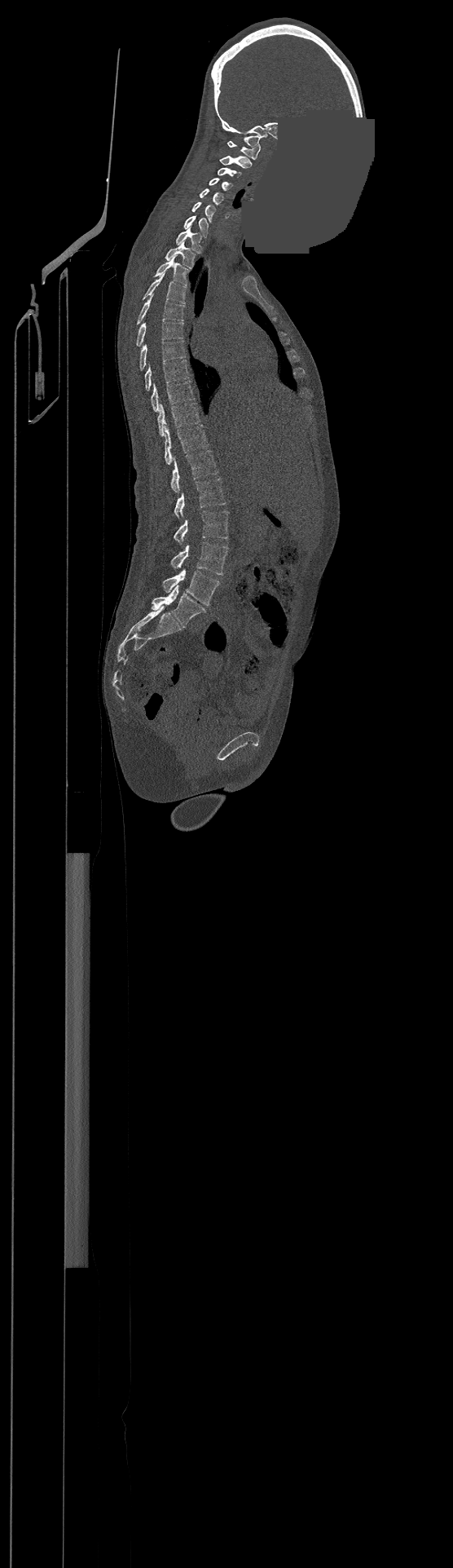

CT, spine. image 500 mm wide. sagittal view. 453x1568 px. an area of the scan was removed and filled with constant pixels. Coordinates as <box>x1,y1,x2,y2</box>. In this scan, the topmost labeled vertebra is C1 and the lowest is L4. 23 vertebrae labeled — L4 at <box>162,568,219,605</box>; L3 at <box>172,542,228,574</box>; L2 at <box>174,510,228,545</box>; L1 at <box>174,478,226,518</box>; T12 at <box>172,450,218,492</box>; T11 at <box>165,425,209,465</box>; T10 at <box>157,403,200,435</box>; T9 at <box>152,381,194,411</box>; T8 at <box>145,360,188,391</box>; T7 at <box>139,340,185,369</box>; T6 at <box>137,320,183,346</box>; T5 at <box>137,294,184,323</box>; T4 at <box>143,274,186,304</box>; T3 at <box>155,258,187,285</box>; T2 at <box>165,241,195,268</box>; T1 at <box>176,227,201,253</box>; C7 at <box>184,215,209,237</box>; C6 at <box>191,201,215,222</box>; C5 at <box>199,189,223,205</box>; C4 at <box>209,179,231,190</box>; C3 at <box>218,167,241,178</box>; C2 at <box>220,156,252,167</box>; C1 at <box>227,141,260,159</box>.